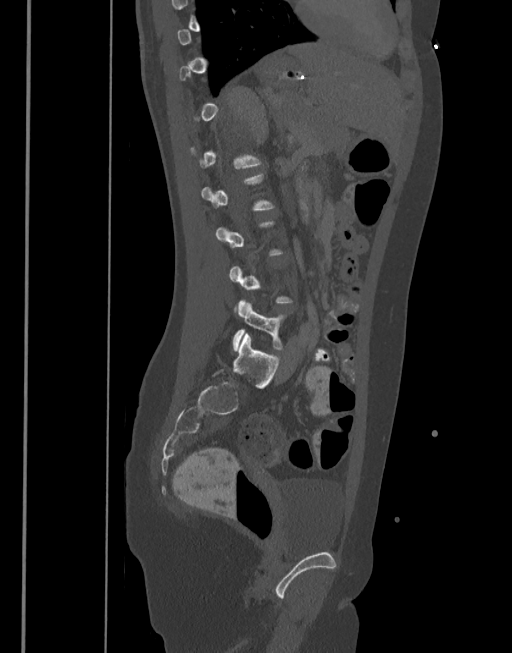
Spine CT — sagittal view — bone window
A vertebra gets a box only on the slices from the first to the last where its cross-section is at least a third of its largest; on a slice outside that range it gets none.
<vertebrae><v name="L5" x1="232" y1="301" x2="288" y2="351"/><v name="L2" x1="201" y1="172" x2="275" y2="210"/></vertebrae>